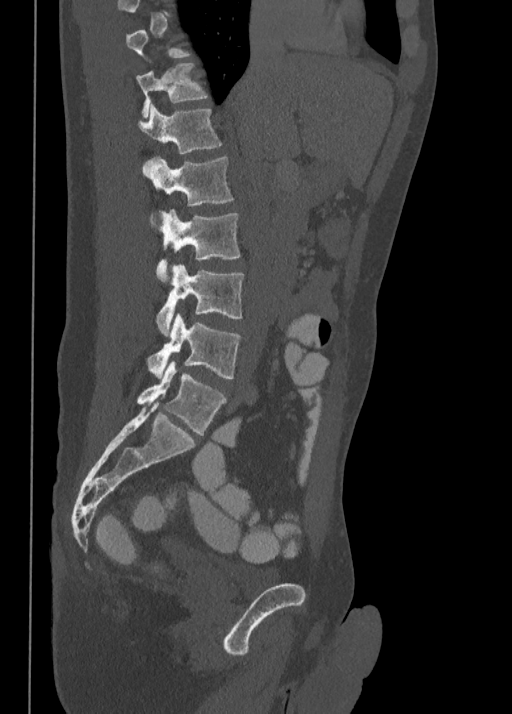
CT · sagittal reformat · 512x714 px. Boxes are (x1, y1, x2, y2) in pixels.
A vertebra gets a box only on the slices from the first to the last where its cross-section is at least a third of its largest; on a slice outside that range it gets none.
T11: (136, 63, 208, 117)
T12: (136, 103, 223, 154)
L1: (142, 157, 234, 224)
L2: (156, 209, 240, 282)
L3: (156, 265, 245, 335)
L4: (148, 315, 242, 379)
L5: (137, 361, 227, 435)